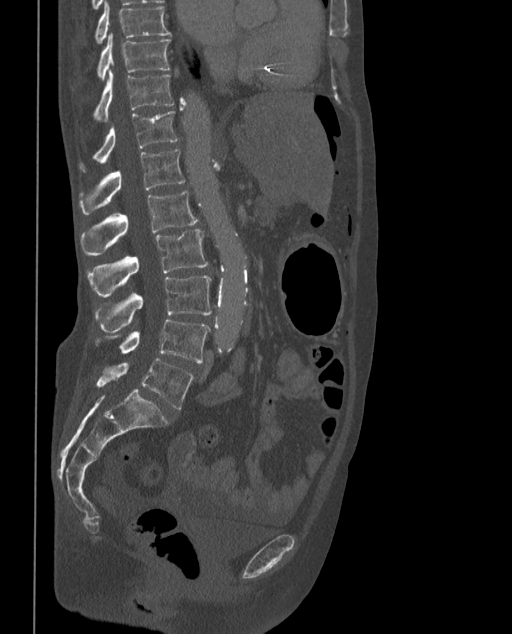 CT spine; sagittal view; bone-window reconstruction; 512x634 px. Boxes are (x1, y1, x2, y2) in pixels.
In these labels the spine has an L6, a sixth lumbar vertebra below L5.
T9: (95, 1, 170, 42)
T10: (97, 32, 169, 79)
T11: (93, 70, 175, 121)
T12: (79, 111, 177, 171)
L1: (79, 149, 184, 214)
L2: (81, 190, 198, 256)
L3: (86, 229, 207, 297)
L4: (95, 275, 212, 333)
L5: (96, 320, 210, 362)
L6: (96, 358, 194, 409)